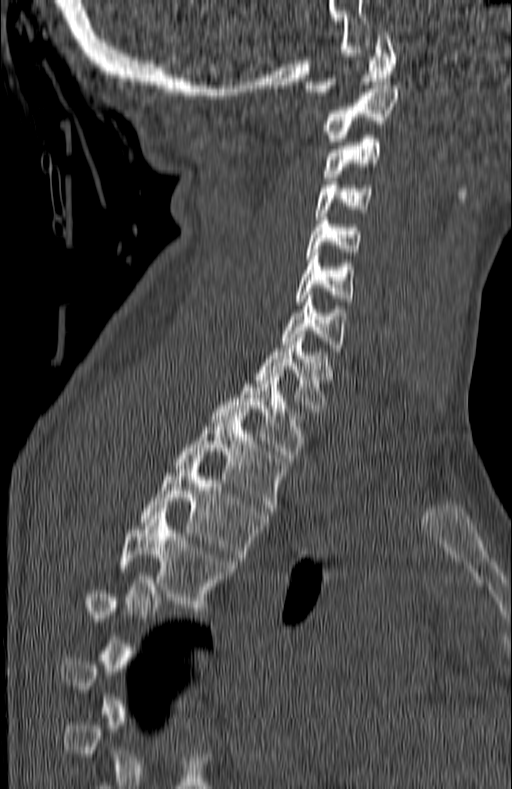
Spine CT; sagittal view; 512x789 px; the image spans 180 mm across
Box values are [left, top, right, bottom] in pixels.
Each vertebra is boxed only on the slices from the first to the last where its cross-section reaches a third of its largest, so a slice outside that range leaves it unboxed.
{"vertebrae":{"T5":[120,512,233,611],"T4":[140,459,264,561],"T3":[174,412,287,511],"T2":[211,373,304,458],"T1":[255,334,333,415],"C7":[283,299,344,351],"C6":[297,252,353,305],"C5":[305,217,361,259],"C4":[315,181,373,216],"C3":[323,132,383,180],"C2":[325,85,398,141],"C1":[304,32,395,95]}}